Spine CT; sagittal plane, index 258; bone-window reconstruction; 512x323 px
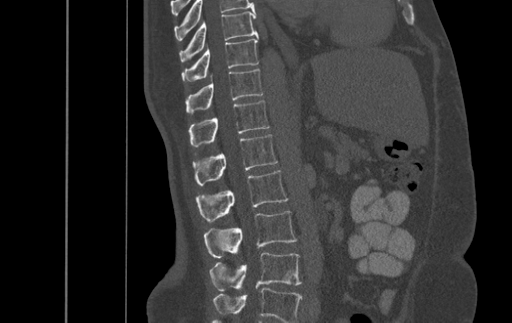

Labels in this scan begin with T9 at the top and end with L4 at the bottom.
<vertebrae><v name="L4" x1="209" y1="252" x2="301" y2="291"/><v name="L3" x1="204" y1="211" x2="296" y2="258"/><v name="L2" x1="196" y1="170" x2="288" y2="222"/><v name="L1" x1="193" y1="134" x2="277" y2="185"/><v name="T12" x1="189" y1="100" x2="269" y2="146"/><v name="T11" x1="186" y1="69" x2="262" y2="114"/><v name="T10" x1="182" y1="36" x2="258" y2="81"/><v name="T9" x1="179" y1="12" x2="257" y2="61"/></vertebrae>